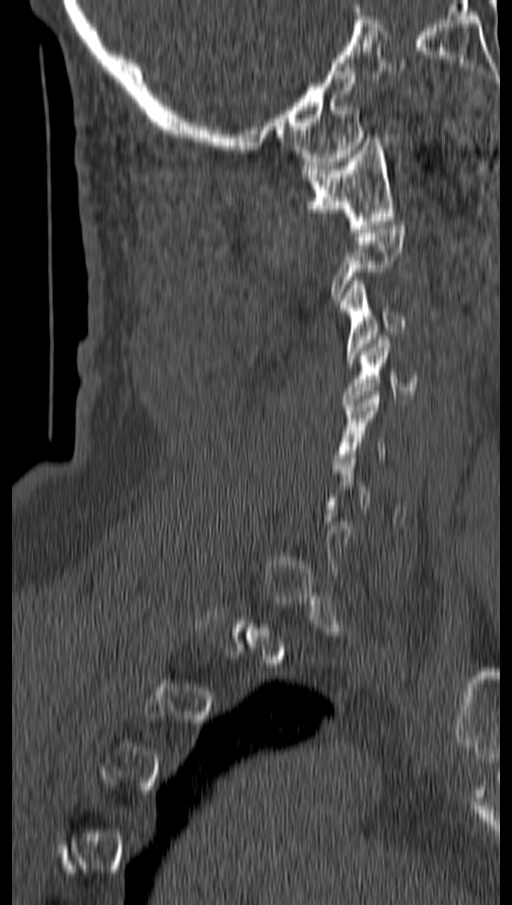

CT, spine; sagittal view
Box values are [left, top, right, bottom] in pixels.
A vertebra is boxed only from the first to the last slice where its cross-section is at least a third of its largest; slices outside that range leave it without a box.
{"vertebrae":{"C1":[302,138,393,232],"C3":[339,280,408,362],"C4":[342,336,416,406],"C5":[333,391,387,469]}}